Computed tomography of the spine. sagittal view
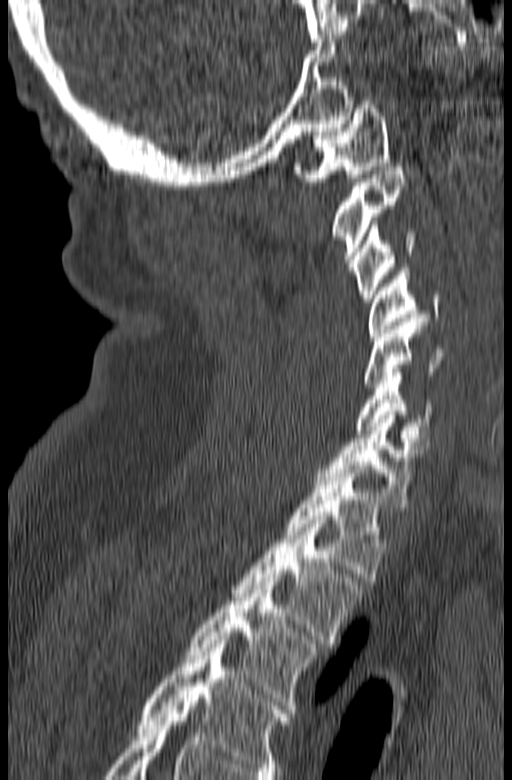

Bounding boxes as [x1, y1, x2, y2] in pixel coordinates. The highest labeled vertebra in this scan is C1; the lowest is T3. 10 vertebrae labeled — T3 at [186, 578, 317, 705]; T2 at [231, 520, 363, 647]; T1 at [283, 465, 388, 581]; C7 at [314, 411, 426, 507]; C6 at [355, 368, 433, 441]; C5 at [364, 318, 441, 387]; C4 at [367, 268, 441, 336]; C3 at [352, 221, 416, 302]; C2 at [330, 167, 407, 271]; C1 at [293, 101, 391, 181].